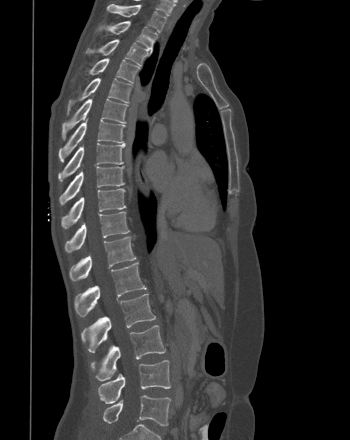 CT. sagittal reformat. Bone window (WL 400, WW 1800)

<vertebrae><v name="T1" x1="107" y1="5" x2="166" y2="32"/><v name="T2" x1="97" y1="21" x2="157" y2="52"/><v name="T3" x1="86" y1="39" x2="147" y2="65"/><v name="T4" x1="88" y1="58" x2="139" y2="82"/><v name="T5" x1="67" y1="77" x2="132" y2="114"/><v name="T6" x1="61" y1="98" x2="127" y2="139"/><v name="T7" x1="58" y1="119" x2="125" y2="162"/><v name="T8" x1="58" y1="143" x2="125" y2="181"/><v name="T9" x1="59" y1="166" x2="124" y2="204"/><v name="T10" x1="61" y1="188" x2="125" y2="228"/><v name="T11" x1="64" y1="211" x2="129" y2="252"/><v name="T12" x1="69" y1="236" x2="136" y2="281"/><v name="L1" x1="74" y1="262" x2="146" y2="317"/><v name="L2" x1="81" y1="293" x2="155" y2="351"/><v name="L3" x1="91" y1="325" x2="165" y2="381"/><v name="L4" x1="98" y1="360" x2="170" y2="403"/><v name="L5" x1="103" y1="395" x2="170" y2="426"/></vertebrae>